Spine computed tomography; sagittal reformat; bone window; 512x696 px
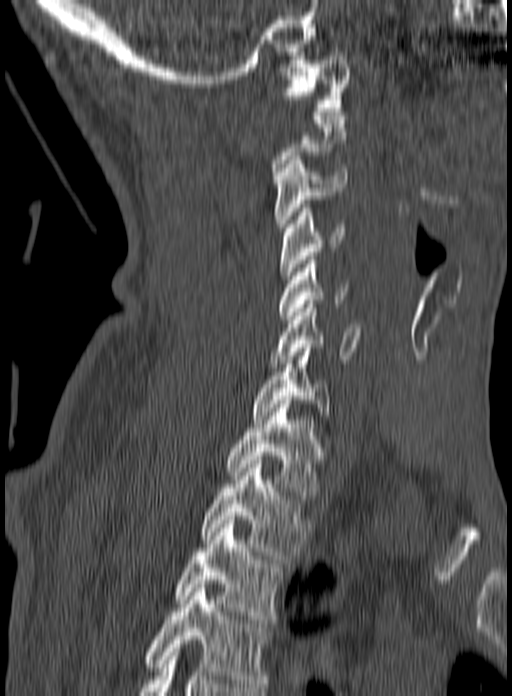

Boxes: x1:y1:x2:y2 in pixels. A vertebra is boxed only from the first to the last slice where its cross-section is at least a third of its largest; slices outside that range leave it without a box. The highest labeled vertebra in this scan is C1; the lowest is T3. 9 vertebrae labeled — C1 at 285:56:349:111; C3 at 274:156:346:231; C4 at 280:204:346:279; C5 at 278:256:348:319; C6 at 269:300:361:367; C7 at 251:344:332:419; T1 at 225:400:324:495; T2 at 200:464:311:559; T3 at 174:516:285:623.